CT, spine · sagittal plane, index 300 · W/L 1800/400 HU
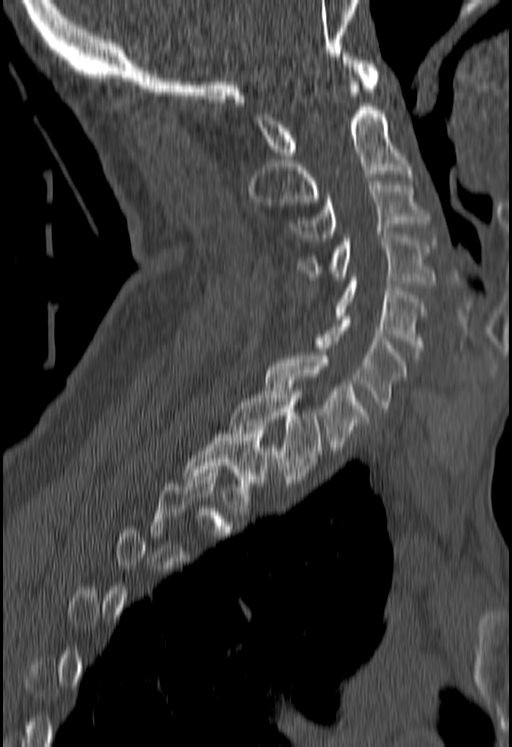 Each box given as x1,y1,x2,y2.
A vertebra gets a box only on the slices from the first to the last where its cross-section is at least a third of its largest; on a slice outside that range it gets none.
| vertebra | x1 | y1 | x2 | y2 |
|---|---|---|---|---|
| T2 | 183 | 427 | 270 | 504 |
| T1 | 230 | 388 | 320 | 483 |
| C7 | 265 | 356 | 365 | 451 |
| C6 | 317 | 316 | 407 | 411 |
| C5 | 337 | 277 | 424 | 355 |
| C4 | 298 | 235 | 435 | 283 |
| C3 | 291 | 181 | 429 | 241 |
| C2 | 248 | 85 | 410 | 205 |
| C1 | 252 | 53 | 379 | 159 |